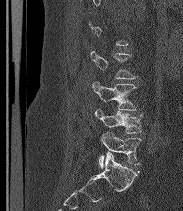 CT spine — sagittal reformat — 183 mm across the image — 183x211 px
Box edges are left/top/right/bottom in pixels.
Each vertebra is boxed only on the slices from the first to the last where its cross-section reaches a third of its largest, so a slice outside that range leaves it unboxed.
The labels name a sixth lumbar vertebra for this spine: L6, after L5.
| vertebra | x1 | y1 | x2 | y2 |
|---|---|---|---|---|
| L4 | 92 | 81 | 136 | 110 |
| L5 | 95 | 108 | 142 | 133 |
| L6 | 98 | 131 | 141 | 168 |